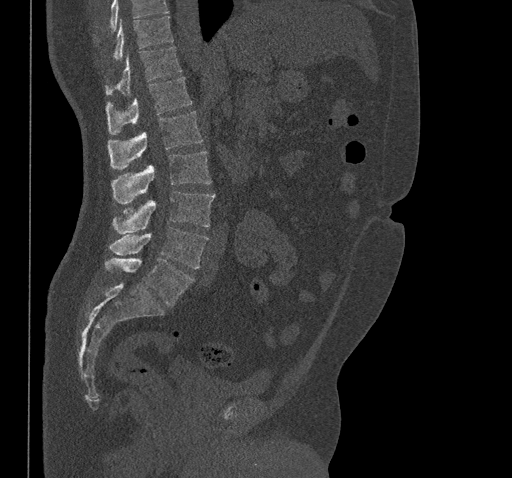 Spine CT · sagittal view · bone window
Box values are [left, top, right, bottom] in pixels.
Vertebrae that run past the top of the scan are left unlabeled.
{"vertebrae":{"T10":[113,16,173,60],"T11":[105,46,182,95],"T12":[106,77,192,134],"L1":[108,111,203,169],"L2":[111,151,210,204],"L3":[112,191,215,234],"L4":[110,227,208,268],"L5":[105,258,193,306]}}